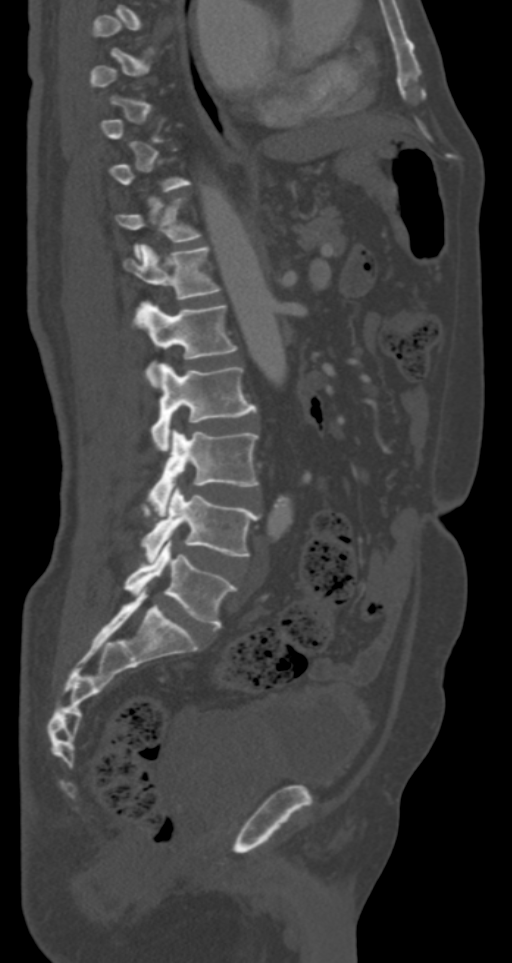
Spine computed tomography. sagittal view. 287 mm wide. W/L 1800/400 HU

A vertebra is boxed only from the first to the last slice where its cross-section is at least a third of its largest; slices outside that range leave it without a box.
<vertebrae><v name="T12" x1="123" y1="244" x2="220" y2="299"/><v name="L1" x1="132" y1="301" x2="236" y2="377"/><v name="L2" x1="151" y1="363" x2="257" y2="450"/><v name="L3" x1="148" y1="430" x2="259" y2="511"/><v name="L4" x1="142" y1="487" x2="259" y2="561"/><v name="L5" x1="124" y1="538" x2="236" y2="628"/></vertebrae>